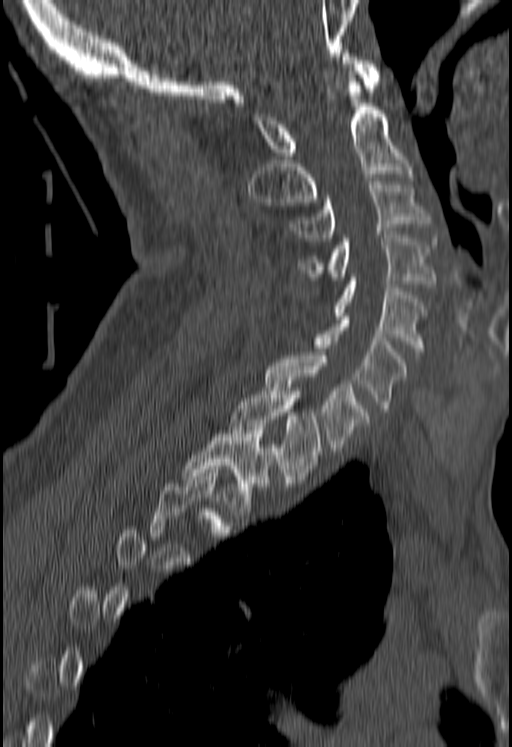
CT — sagittal view — Bone window (WL 400, WW 1800) — 512x747 px
Box edges are left/top/right/bottom in pixels.
A vertebra is boxed only from the first to the last slice where its cross-section is at least a third of its largest; slices outside that range leave it without a box.
C1: left=251, top=53, right=381, bottom=159
C2: left=248, top=71, right=412, bottom=205
C3: left=291, top=181, right=432, bottom=241
C4: left=298, top=235, right=435, bottom=287
C5: left=331, top=277, right=427, bottom=355
C6: left=314, top=316, right=407, bottom=411
C7: left=265, top=352, right=367, bottom=451
T1: left=230, top=388, right=321, bottom=483
T2: left=183, top=427, right=270, bottom=511